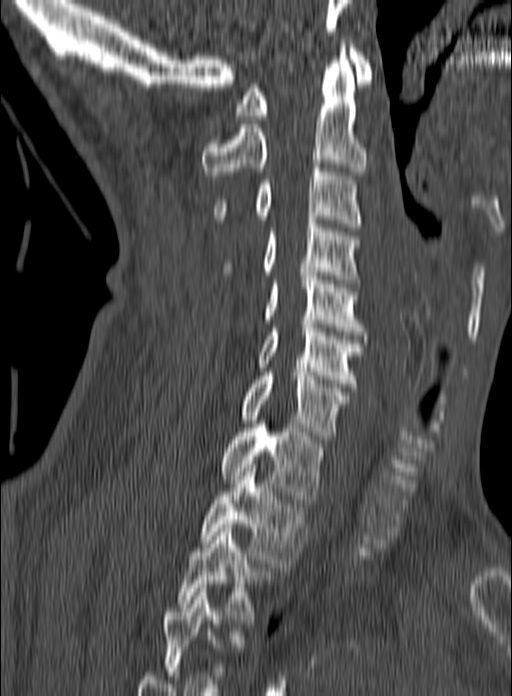 Computed tomography of the spine · sagittal reformat · 512x696 px · 160 mm image width. Bounding boxes as [x1, y1, x2, y2] in pixel coordinates.
The highest labeled vertebra in this scan is C1; the lowest is T3.
C1: [235, 48, 373, 119]
C2: [202, 44, 366, 179]
C3: [213, 164, 361, 227]
C4: [221, 220, 361, 283]
C5: [262, 272, 365, 335]
C6: [257, 320, 362, 387]
C7: [241, 368, 349, 439]
T1: [219, 424, 325, 503]
T2: [200, 464, 307, 567]
T3: [177, 524, 268, 623]